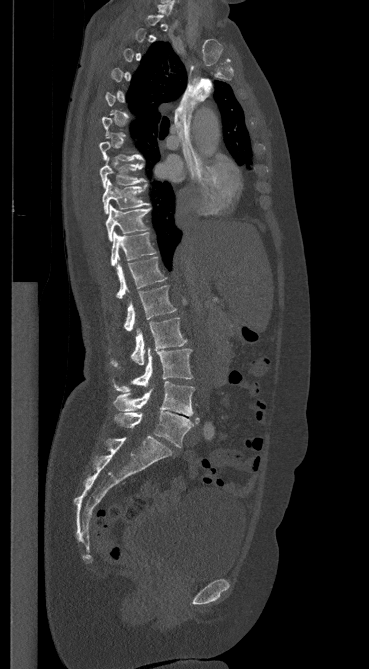

CT. sagittal view. bone window. 369 mm image width

Boxes are given in columns x1, y1, x2, y2, the pixel coordinates of their top-left and bottom-right corners.
Each vertebra is boxed only on the slices from the first to the last where its cross-section reaches a third of its largest, so a slice outside that range leaves it unboxed.
| vertebra | x1 | y1 | x2 | y2 |
|---|---|---|---|---|
| C7 | 158 | 0 | 174 | 14 |
| T8 | 100 | 157 | 146 | 188 |
| T9 | 102 | 179 | 148 | 214 |
| T10 | 105 | 205 | 151 | 241 |
| T11 | 110 | 231 | 155 | 266 |
| T12 | 116 | 257 | 166 | 299 |
| L1 | 123 | 285 | 176 | 331 |
| L2 | 110 | 317 | 187 | 367 |
| L3 | 112 | 348 | 192 | 392 |
| L4 | 114 | 381 | 194 | 416 |
| L5 | 114 | 411 | 199 | 447 |